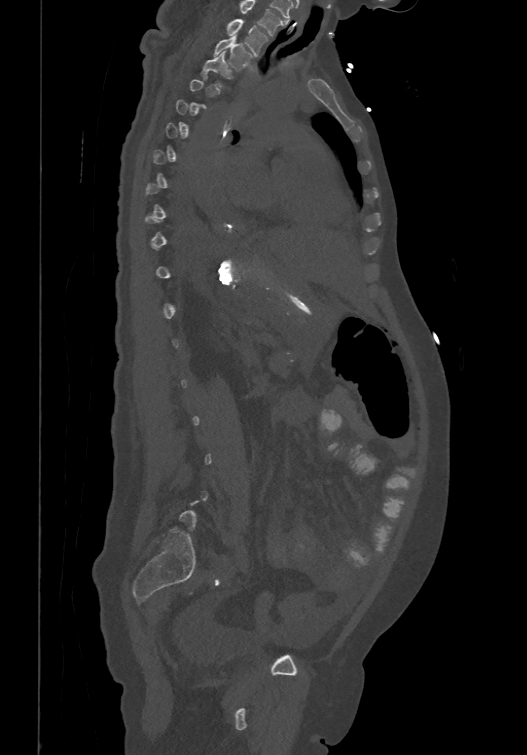
CT, spine. sagittal view. bone-window reconstruction. 527x755 px
Boxes are given in columns x1, y1, x2, y2, the pixel coordinates of their top-left and bottom-right corners.
Each vertebra is boxed only on the slices from the first to the last where its cross-section reaches a third of its largest, so a slice outside that range leaves it unboxed.
The highest labeled vertebra in this scan is T1; the lowest is L6.
| vertebra | x1 | y1 | x2 | y2 |
|---|---|---|---|---|
| T3 | 200 | 50 | 231 | 85 |
| T2 | 213 | 34 | 254 | 69 |
| T1 | 225 | 19 | 267 | 55 |